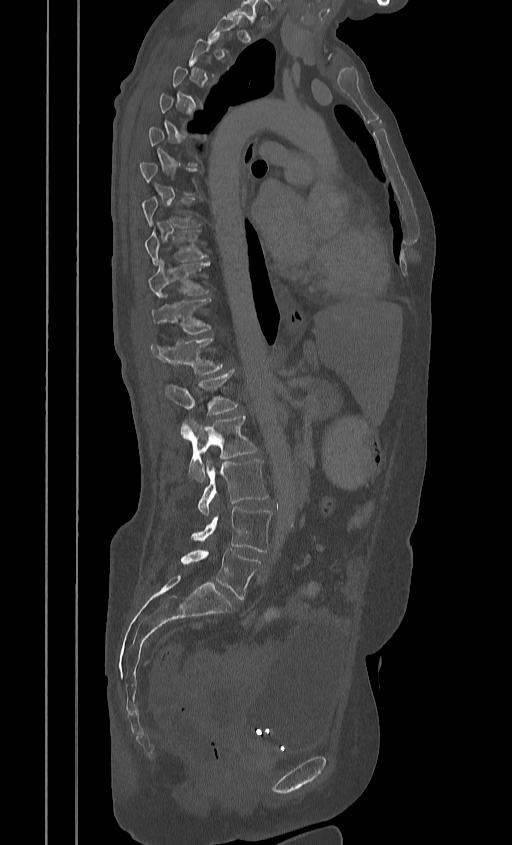 CT, spine · sagittal view · bone-window reconstruction · 512x845 px · 384 mm image width
Box values are [left, top, right, bottom] in pixels.
A vertebra is boxed only from the first to the last slice where its cross-section is at least a third of its largest; slices outside that range leave it without a box.
{"vertebrae":{"T9":[144,231,207,264],"T10":[148,259,209,298],"T11":[150,299,211,334],"T12":[150,337,223,375],"L1":[165,371,237,415],"L2":[181,415,256,482],"L3":[197,459,268,515],"L4":[192,507,272,552],"L5":[181,549,260,599]}}